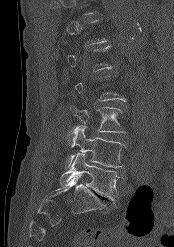 CT, spine · sagittal view · 174 mm across the image · 174x247 px
Boxes are (x1, y1, x2, y2) in pixels.
A vertebra gets a box only on the slices from the first to the last where its cross-section is at least a third of its largest; on a slice outside that range it gets none.
Vertebra bounding boxes:
- L3: (70, 105, 126, 132)
- L4: (65, 126, 124, 168)
- L5: (59, 153, 123, 203)